CT. 152 mm across the image. sagittal plane, index 65. bone-window reconstruction. 152x179 px
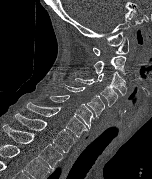

Coordinates as <box>x1,y1,x2,y2</box>. Vertebrae labeled: T2 at <box>2,124,63,169</box>, T1 at <box>15,113,76,152</box>, C7 at <box>26,102,88,137</box>, C6 at <box>46,95,94,129</box>, C5 at <box>65,85,104,117</box>, C4 at <box>75,78,117,106</box>, C3 at <box>96,72,127,96</box>, C2 at <box>94,55,126,76</box>, C1 at <box>93,36,128,55</box>.